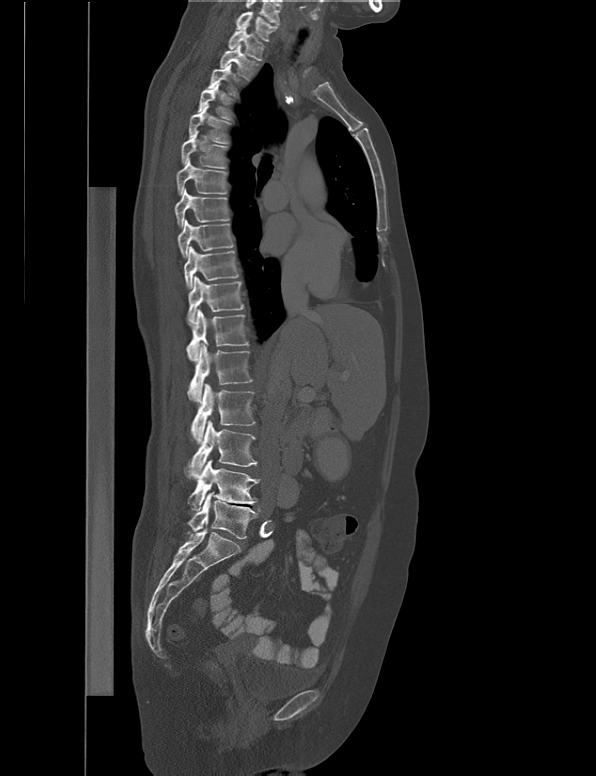

Computed tomography of the spine · sagittal view · 596x776 px · the image spans 538 mm across

Each row gives a vertebra's box as x1, y1, x2, y2 in pixels: top-left corner, then bottom-right corner.
| vertebra | x1 | y1 | x2 | y2 |
|---|---|---|---|---|
| L5 | 187 | 491 | 259 | 539 |
| L4 | 187 | 460 | 260 | 510 |
| L3 | 184 | 420 | 257 | 479 |
| L2 | 191 | 383 | 255 | 444 |
| L1 | 187 | 343 | 252 | 401 |
| T12 | 186 | 309 | 249 | 361 |
| T11 | 186 | 276 | 244 | 327 |
| T10 | 184 | 246 | 238 | 288 |
| T9 | 177 | 219 | 233 | 259 |
| T8 | 175 | 188 | 229 | 227 |
| T7 | 176 | 156 | 226 | 195 |
| T6 | 181 | 130 | 228 | 168 |
| T5 | 189 | 105 | 231 | 143 |
| T4 | 197 | 82 | 233 | 122 |
| T3 | 207 | 63 | 238 | 98 |
| T2 | 219 | 44 | 258 | 80 |
| T1 | 228 | 28 | 264 | 60 |
| C7 | 236 | 11 | 277 | 41 |